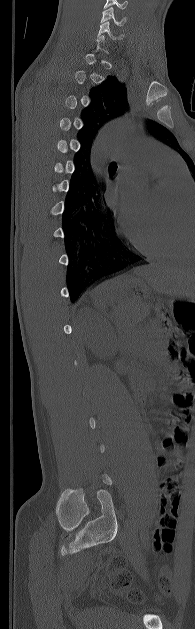

CT — sagittal view — 195x629 px — image width 195 mm

Each box given as x1,y1,x2,y2.
A vertebra gets a box only on the slices from the first to the last where its cross-section is at least a third of its largest; on a slice outside that range it gets none.
Vertebra bounding boxes:
- C6: x1=97, y1=21, x2=122, y2=39
- C5: x1=100, y1=6, x2=126, y2=25